Spine CT; sagittal reformat; 10 vertebrae labeled in this scan
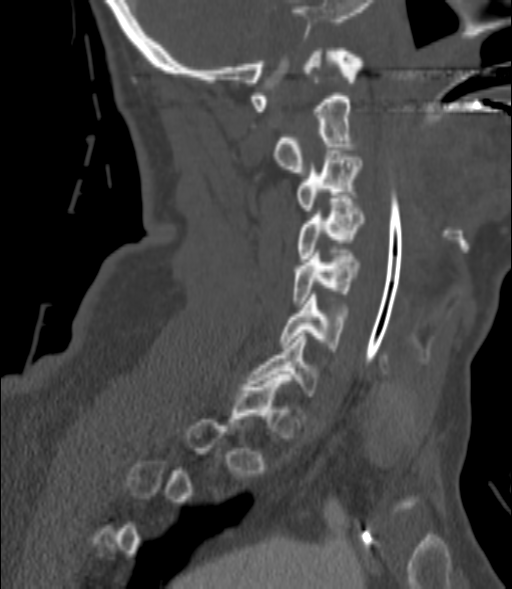 Box edges are left/top/right/bottom in pixels. Each vertebra is boxed only on the slices from the first to the last where its cross-section reaches a third of its largest, so a slice outside that range leaves it unboxed. The labeled vertebrae in this slice are: C2 at left=275, top=96, right=354, bottom=175, C3 at left=298, top=150, right=362, bottom=210, C4 at left=298, top=198, right=363, bottom=261, C5 at left=293, top=253, right=359, bottom=306, C6 at left=280, top=294, right=345, bottom=351, C7 at left=249, top=333, right=317, bottom=396.